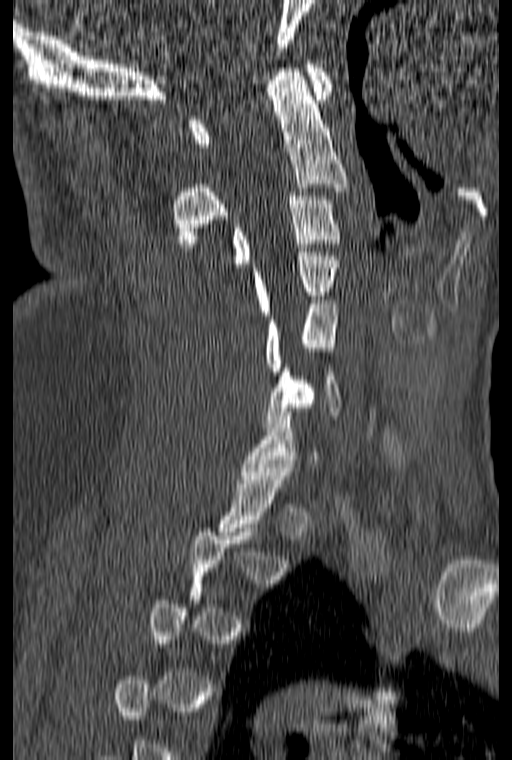
Spine computed tomography; sagittal view; bone-window reconstruction; 160 mm image width
Boxes are (x1, y1, x2, y2) in pixels.
A vertebra gets a box only on the slices from the first to the last where its cross-section is at least a third of its largest; on a slice outside that range it gets none.
Vertebra bounding boxes:
- C1: (189, 60, 333, 147)
- C2: (172, 68, 347, 247)
- C3: (232, 192, 342, 267)
- C4: (254, 248, 339, 315)
- C5: (267, 300, 337, 371)
- C6: (266, 360, 341, 427)